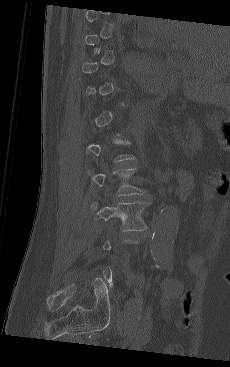
Computed tomography of the spine. sagittal view. bone window
Bounding boxes as [x1, y1, x2, y2] in pixel coordinates.
A vertebra gets a box only on the slices from the first to the last where its cross-section is at least a third of its largest; on a slice outside that range it gets none.
L2: [87, 168, 145, 195]
L3: [93, 201, 149, 230]